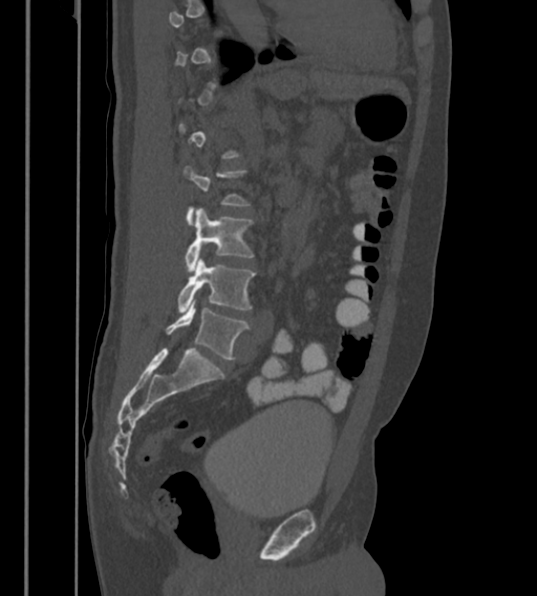
CT spine — sagittal view — bone-window reconstruction — 537x596 px
Boxes are (x1, y1, x2, y2) in pixels.
A vertebra is boxed only from the first to the last slice where its cross-section is at least a third of its largest; slices outside that range leave it without a box.
These labels give the spine a sixth lumbar vertebra, L6, below L5.
L4: (185, 207, 253, 271)
L5: (177, 257, 254, 313)
L6: (166, 299, 249, 359)